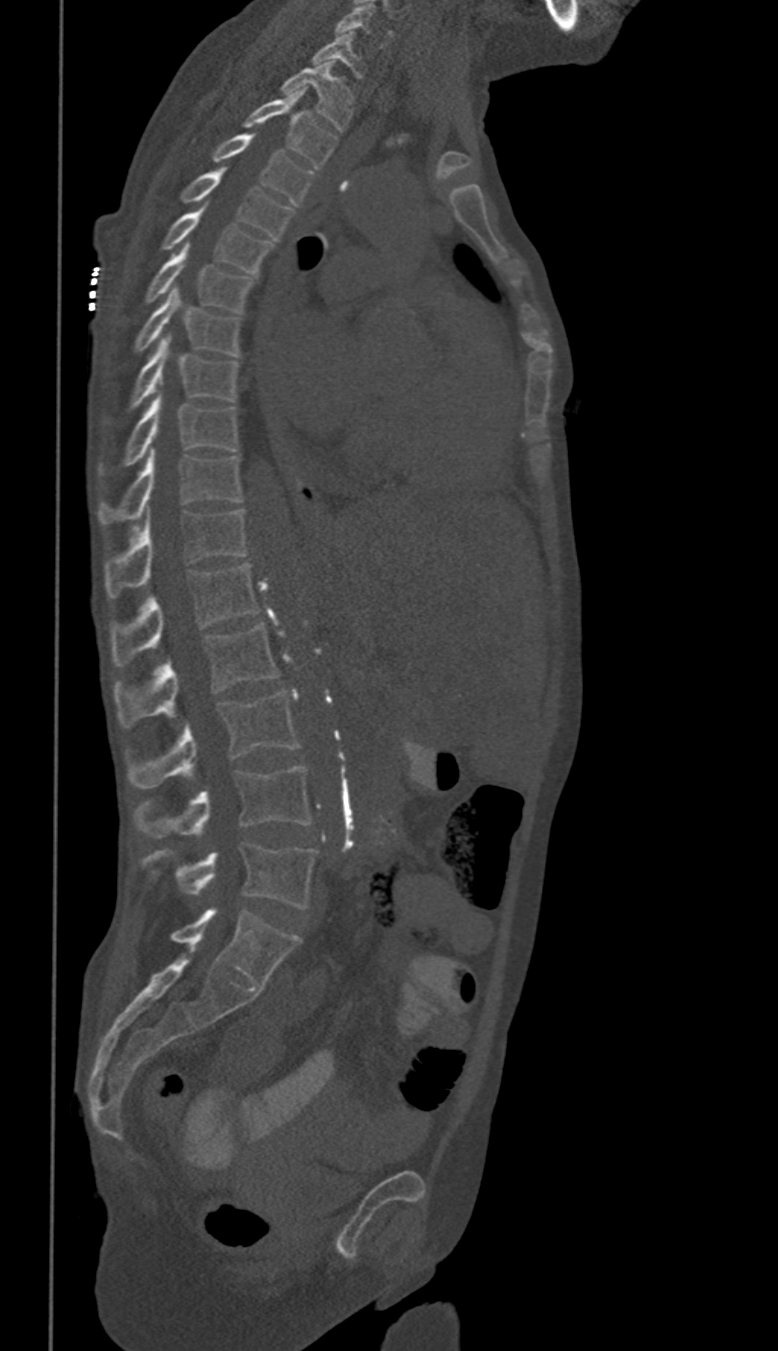
CT, spine. sagittal view
Each box given as x1,y1,x2,y2.
These labels give this spine no T12: after T11 the next vertebra is L1.
| vertebra | x1 | y1 | x2 | y2 |
|---|---|---|---|---|
| L5 | 141 | 843 | 316 | 908 |
| L4 | 135 | 767 | 312 | 837 |
| L3 | 126 | 692 | 298 | 788 |
| L2 | 112 | 623 | 279 | 726 |
| L1 | 111 | 563 | 259 | 666 |
| T11 | 105 | 509 | 248 | 597 |
| T10 | 100 | 449 | 244 | 524 |
| T9 | 100 | 394 | 239 | 473 |
| T8 | 129 | 336 | 239 | 408 |
| T7 | 134 | 287 | 241 | 355 |
| T6 | 144 | 243 | 254 | 313 |
| T5 | 163 | 207 | 272 | 273 |
| T4 | 182 | 167 | 292 | 239 |
| T3 | 213 | 134 | 312 | 206 |
| T2 | 242 | 89 | 336 | 168 |
| T1 | 283 | 63 | 354 | 131 |
| C7 | 313 | 31 | 364 | 79 |
| C6 | 336 | 4 | 392 | 48 |